Spine computed tomography — 446 mm image width — Sagittal slice 247/512 — W/L 1800/400 HU — 512x762 px
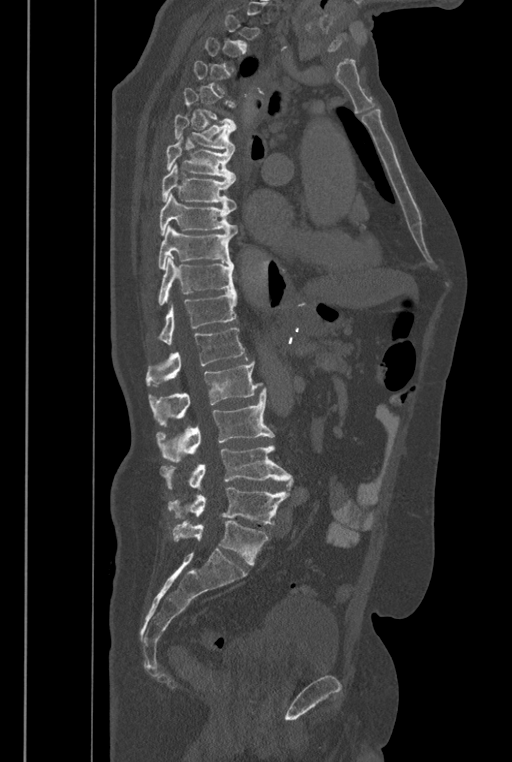

Boxes are (x1, y1, x2, y2) in pixels.
Not every vertebra on this slice has a box: a vertebra is boxed only from the first to the last slice where its cross-section is at least a third of its largest, and this slice is outside that range for at least one of them.
These labels give the spine a sixth lumbar vertebra, L6, below L5.
Vertebra bounding boxes:
- L6: (172, 521, 268, 565)
- L5: (168, 487, 289, 524)
- L4: (161, 445, 293, 490)
- L3: (156, 388, 274, 462)
- L2: (149, 361, 262, 425)
- L1: (146, 328, 248, 386)
- T12: (158, 291, 237, 345)
- T11: (158, 257, 235, 306)
- T10: (158, 225, 234, 270)
- T9: (159, 193, 237, 235)
- T8: (162, 163, 235, 210)
- T7: (166, 136, 235, 181)
- T6: (174, 114, 235, 152)